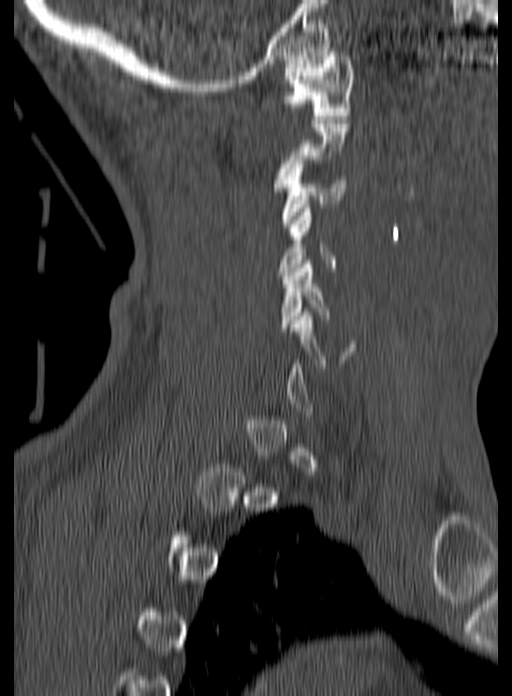 Spine CT — sagittal reformat
Each vertebra maps to its box as [x1, y1, x2, y2], the pixel coordinates of its top-left and bottom-right corners.
A vertebra gets a box only on the slices from the first to the last where its cross-section is at least a third of its largest; on a slice outside that range it gets none.
{"vertebrae":{"C1":[282,48,352,119],"C3":[281,160,346,227],"C4":[278,208,336,275],"C5":[280,260,330,331]}}